CT, spine — sagittal view
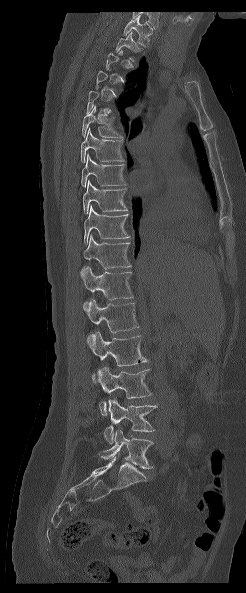 Bounding boxes as [x1, y1, x2, y2] in pixel coordinates.
Each vertebra is boxed only on the slices from the first to the last where its cross-section reaches a third of its largest, so a slice outside that range leaves it unboxed.
The highest labeled vertebra in this scan is T1; the lowest is L5.
L5: [99, 428, 153, 468]
L4: [104, 398, 157, 443]
L3: [98, 366, 151, 415]
L2: [91, 332, 147, 382]
L1: [86, 299, 138, 346]
T12: [81, 266, 134, 310]
T11: [81, 235, 130, 272]
T10: [84, 205, 129, 246]
T9: [83, 180, 127, 213]
T8: [81, 154, 126, 186]
T7: [81, 128, 124, 162]
T6: [82, 105, 122, 137]
T2: [115, 32, 142, 61]
T1: [123, 15, 152, 47]